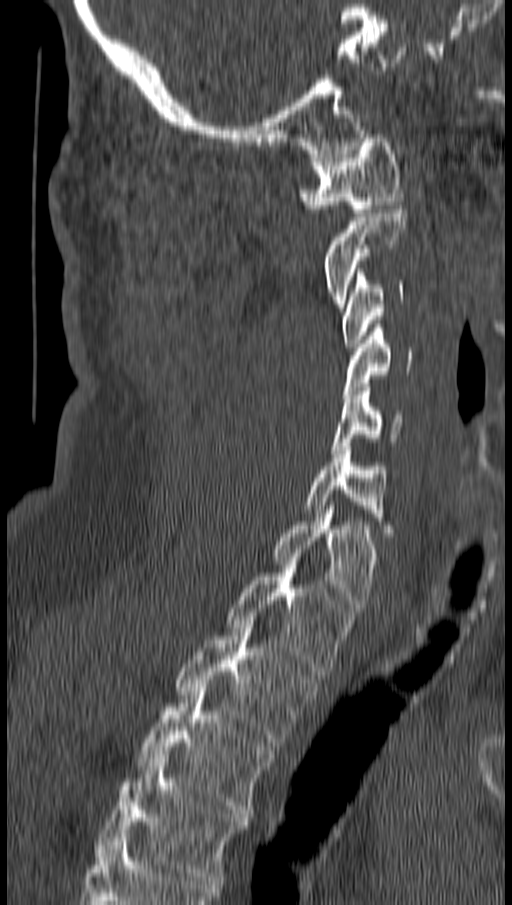
Spine computed tomography. sagittal view. bone-window reconstruction. 512x905 px. 162 mm image width
<vertebrae><v name="T4" x1="96" y1="755" x2="247" y2="884"/><v name="T3" x1="137" y1="687" x2="272" y2="817"/><v name="T2" x1="175" y1="624" x2="316" y2="746"/><v name="T1" x1="229" y1="557" x2="354" y2="675"/><v name="C7" x1="273" y1="506" x2="376" y2="611"/><v name="C6" x1="304" y1="442" x2="389" y2="532"/><v name="C5" x1="330" y1="383" x2="401" y2="453"/><v name="C4" x1="342" y1="324" x2="412" y2="398"/><v name="C3" x1="342" y1="269" x2="403" y2="347"/><v name="C2" x1="323" y1="205" x2="406" y2="307"/><v name="C1" x1="299" y1="134" x2="401" y2="212"/></vertebrae>